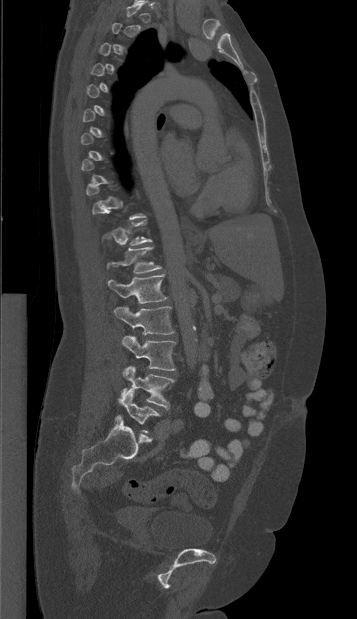
CT. sagittal view

Coordinates as <box>x1,y1,x2,y2</box>. Not every vertebra on this slice has a box: a vertebra is boxed only from the first to the last slice where its cross-section is at least a third of its largest, and this slice is outside that range for at least one of them. 6 vertebrae labeled — T12 at <box>107,247,161,273</box>; L1 at <box>108,274,167,303</box>; L2 at <box>114,306,174,334</box>; L3 at <box>122,335,176,370</box>; L4 at <box>121,366,174,410</box>; L5 at <box>118,389,160,432</box>.